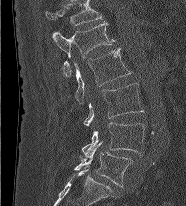

Spine CT — sagittal view — 186x206 px. Boxes are (x1, y1, x2, y2) in pixels. In this scan, the topmost labeled vertebra is L1 and the lowest is L5. Vertebrae labeled: L1 at (52, 20, 115, 76), L2 at (74, 48, 131, 103), L3 at (83, 83, 143, 126), L4 at (82, 122, 148, 157), L5 at (74, 141, 133, 187).